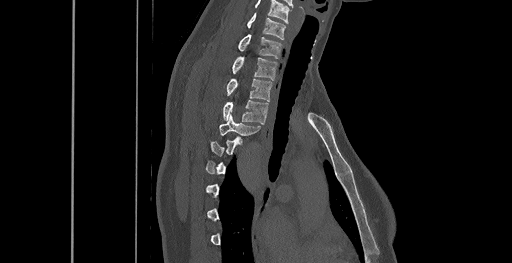
Computed tomography of the spine; sagittal view; 512x263 px; image width 461 mm
Boxes are given in columns x1, y1, x2, y2, the pixel coordinates of their top-left and bottom-right corners.
A vertebra gets a box only on the slices from the first to the last where its cross-section is at least a third of its largest; on a slice outside that range it gets none.
The highest labeled vertebra in this scan is C6; the lowest is T8.
| vertebra | x1 | y1 | x2 | y2 |
|---|---|---|---|---|
| T4 | 219 | 115 | 260 | 135 |
| T3 | 223 | 100 | 268 | 123 |
| T2 | 227 | 79 | 272 | 101 |
| T1 | 232 | 56 | 276 | 80 |
| C7 | 238 | 34 | 281 | 59 |
| C6 | 247 | 13 | 285 | 39 |